Spine computed tomography — sagittal view — bone window — 382x541 px — 382 mm image width
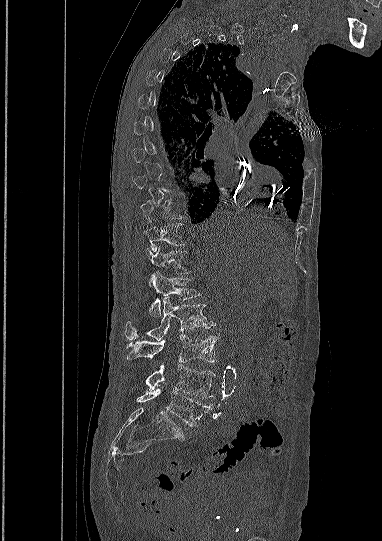

Each box given as x1,y1,x2,y2.
Not every vertebra on this slice has a box: a vertebra is boxed only from the first to the last slice where its cross-section is at least a third of its largest, and this slice is outside that range for at least one of them.
Vertebra bounding boxes:
- T11: x1=144, y1=223, x2=184, y2=250
- T12: x1=147, y1=247, x2=189, y2=286
- L1: x1=150, y1=272, x2=200, y2=316
- L2: x1=125, y1=296, x2=215, y2=340
- L3: x1=126, y1=334, x2=216, y2=362
- L4: x1=146, y1=365, x2=215, y2=398
- L5: x1=137, y1=388, x2=211, y2=426